CT — sagittal plane, index 79 — the image is 146 mm wide — 146x164 px
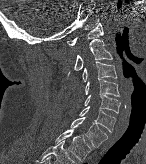 <vertebrae><v name="C1" x1="66" y1="22" x2="103" y2="45"/><v name="C2" x1="63" y1="39" x2="112" y2="80"/><v name="C3" x1="82" y1="62" x2="117" y2="82"/><v name="C4" x1="85" y1="79" x2="120" y2="96"/><v name="C5" x1="84" y1="93" x2="120" y2="113"/><v name="C6" x1="79" y1="106" x2="115" y2="132"/><v name="C7" x1="70" y1="117" x2="107" y2="147"/><v name="T1" x1="55" y1="128" x2="90" y2="162"/></vertebrae>